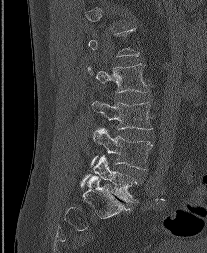

Computed tomography of the spine · sagittal view · Bone window (WL 400, WW 1800)

Boxes are (x1, y1, x2, y2) in pixels.
A vertebra gets a box only on the slices from the first to the last where its cross-section is at least a third of its largest; on a slice outside that range it gets none.
L2: (88, 63, 149, 92)
L3: (92, 101, 152, 129)
L4: (91, 127, 152, 169)
L5: (81, 155, 137, 202)